Spine CT; sagittal view; 312x497 px; 16 vertebrae labeled in this scan
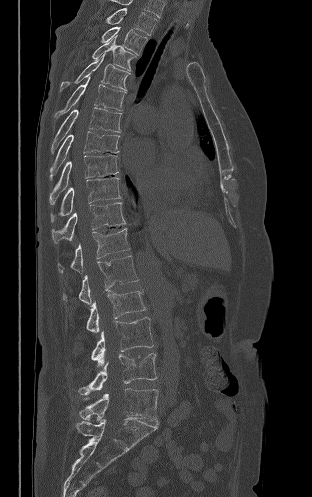
Box edges are left/top/right/bottom in pixels. Vertebrae labeled: L5 at left=79, top=388, right=158, bottom=423, L4 at left=78, top=353, right=157, bottom=395, L3 at left=91, top=317, right=153, bottom=366, L2 at left=86, top=290, right=146, bottom=332, L1 at left=62, top=255, right=138, bottom=304, T12 at left=58, top=228, right=129, bottom=272, T11 at left=51, top=202, right=126, bottom=243, T10 at left=50, top=177, right=120, bottom=222, T9 at left=49, top=155, right=118, bottom=204, T8 at left=50, top=131, right=119, bottom=180, T7 at left=51, top=107, right=121, bottom=153, T6 at left=54, top=76, right=126, bottom=119, T5 at left=60, top=53, right=130, bottom=91, T4 at left=92, top=35, right=135, bottom=71, T3 at left=101, top=26, right=147, bottom=55, T2 at left=106, top=8, right=157, bottom=35.